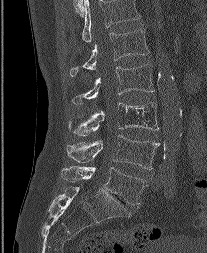

Spine CT · sagittal view
Each box is [x1, y1, x2, y2] in pixels: top-left corner, then bottom-right corner.
This scan's labels start at L1 at the top and end at L5 at the bottom.
{"vertebrae":{"L1":[70,28,149,76],"L2":[72,64,153,104],"L3":[68,102,158,135],"L4":[66,135,159,169],"L5":[61,166,145,205]}}